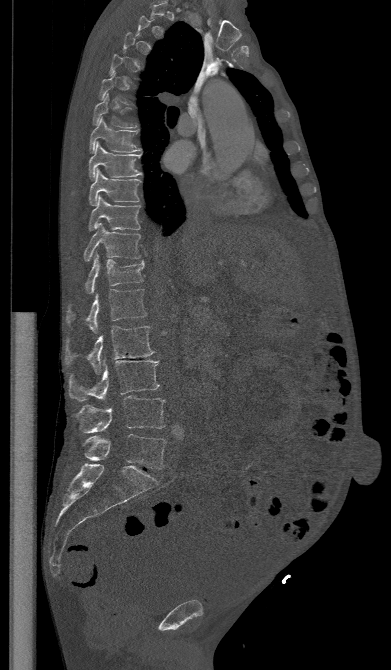 CT spine. sagittal view. bone-window reconstruction. 391 mm across the image
Each vertebra is boxed only on the slices from the first to the last where its cross-section reaches a third of its largest, so a slice outside that range leaves it unboxed.
<vertebrae><v name="T6" x1="92" y1="94" x2="137" y2="127"/><v name="T7" x1="89" y1="117" x2="140" y2="153"/><v name="T8" x1="89" y1="142" x2="143" y2="179"/><v name="T9" x1="89" y1="169" x2="140" y2="205"/><v name="T10" x1="89" y1="195" x2="140" y2="230"/><v name="T11" x1="84" y1="223" x2="140" y2="262"/><v name="T12" x1="85" y1="252" x2="144" y2="294"/><v name="L1" x1="66" y1="289" x2="146" y2="333"/><v name="L2" x1="65" y1="326" x2="154" y2="374"/><v name="L3" x1="69" y1="360" x2="159" y2="401"/><v name="L4" x1="76" y1="396" x2="165" y2="433"/><v name="L5" x1="83" y1="434" x2="166" y2="469"/></vertebrae>